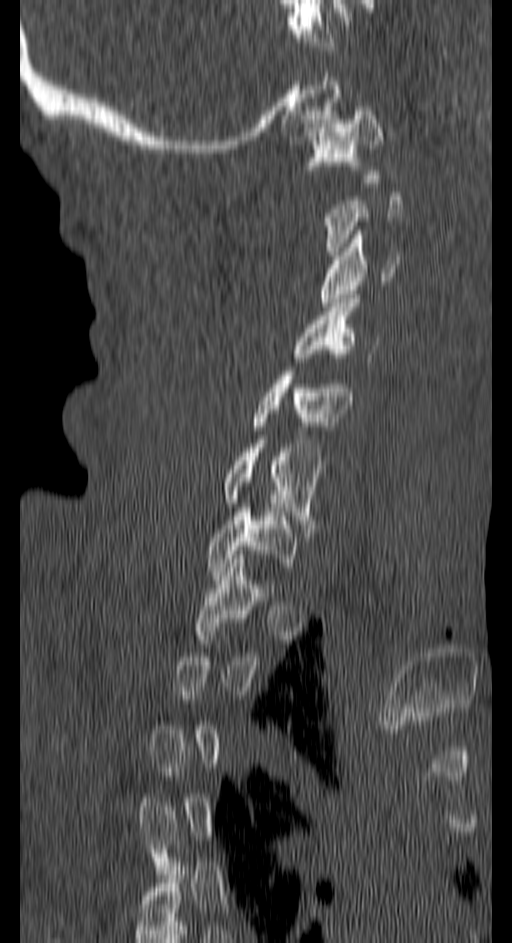 Spine computed tomography · sagittal reformat · bone window · 512x943 px · the image is 150 mm wide
Each box given as x1,y1,x2,y2.
Not every vertebra on this slice has a box: a vertebra is boxed only from the first to the last slice where its cross-section is at least a third of its largest, and this slice is outside that range for at least one of them.
Vertebra bounding boxes:
- C1: x1=306, y1=107, x2=383, y2=182
- C3: x1=319, y1=230, x2=398, y2=306
- C4: x1=295, y1=303, x2=376, y2=366
- C5: x1=247, y1=371, x2=352, y2=430
- C6: x1=220, y1=439, x2=321, y2=532
- C7: x1=206, y1=508, x2=297, y2=575